CT spine. Sagittal slice 203/381. bone-window reconstruction. scan covers 7 annotated vertebrae
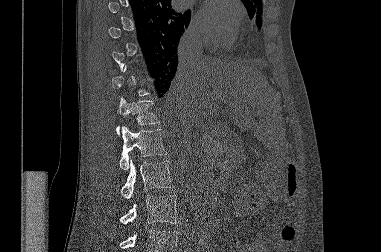
Boxes below are [x1, y1, x2, y2] in pixels.
A vertebra is boxed only from the first to the last slice where its cross-section is at least a third of its largest; slices outside that range leave it without a box.
Vertebrae that run past the bottom of the scan are left unlabeled.
{"vertebrae":{"T12":[116,97,159,134],"L1":[119,126,167,169],"L2":[121,159,173,198],"L3":[120,195,179,224]}}